Spine computed tomography · sagittal plane, index 258 · 512x782 px · 10 vertebrae labeled in this scan
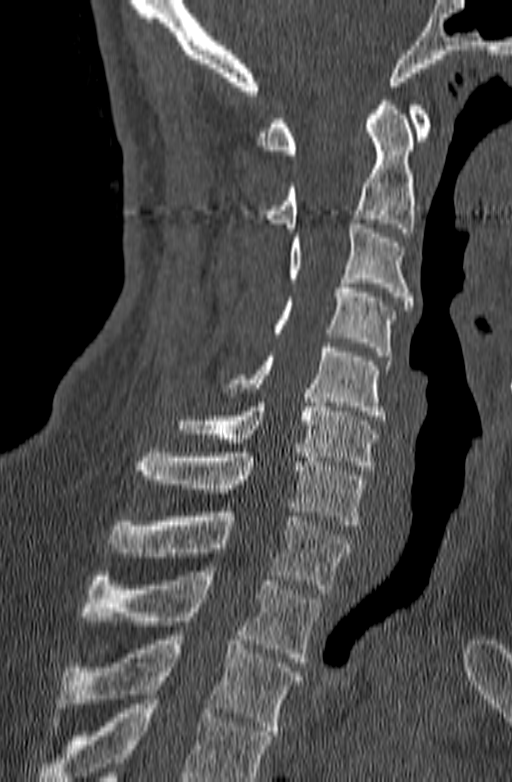 Box edges are left/top/right/bottom in pixels.
Where the bottom of the scan cuts through a vertebra, that vertebra gets no label or box.
| vertebra | x1 | y1 | x2 | y2 |
|---|---|---|---|---|
| C1 | 257 | 101 | 432 | 154 |
| C2 | 257 | 96 | 414 | 232 |
| C3 | 288 | 219 | 413 | 310 |
| C4 | 272 | 279 | 395 | 356 |
| C5 | 222 | 343 | 391 | 420 |
| C6 | 177 | 398 | 377 | 470 |
| C7 | 134 | 448 | 366 | 525 |
| T1 | 107 | 507 | 351 | 593 |
| T2 | 82 | 571 | 320 | 662 |
| T3 | 53 | 631 | 301 | 735 |